Computed tomography of the spine; sagittal view; 512x1029 px
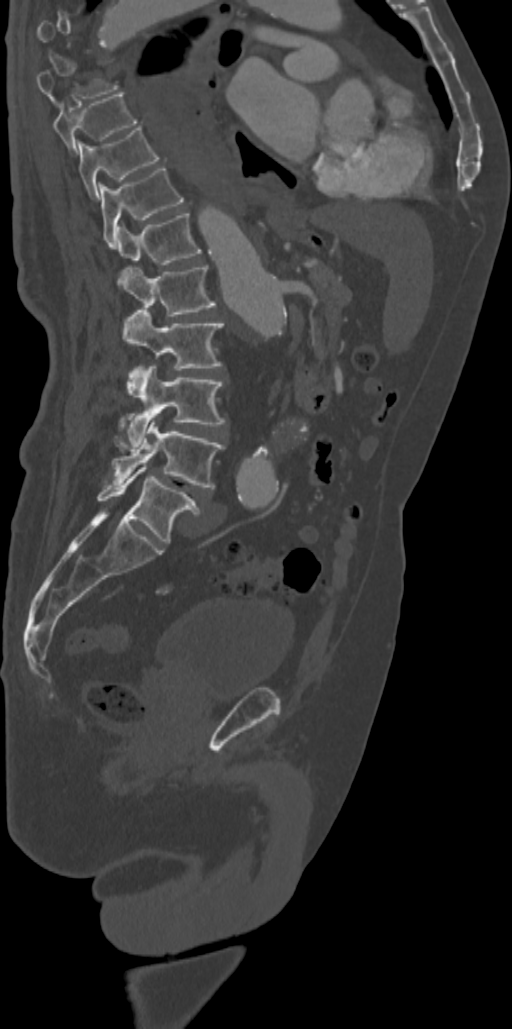

Boxes below are [x1, y1, x2, y2] in pixels.
Not every vertebra on this slice has a box: a vertebra is boxed only from the first to the last slice where its cross-section is at least a third of its largest, and this slice is outside that range for at least one of them.
{"vertebrae":{"L5":[97,465,199,543],"L4":[112,418,223,489],"L3":[126,364,225,446],"L2":[123,310,223,370],"L1":[118,265,214,316],"T12":[117,213,201,264],"T11":[99,166,183,246],"T10":[78,126,159,199],"T9":[52,92,137,154]}}